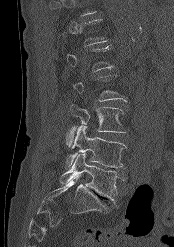 Computed tomography of the spine. sagittal reformat

Boxes: x1 y1 x2 y2 (pixel coords, space-separated). Each vertebra is boxed only on the slices from the first to the last where its cross-section reaches a third of its largest, so a slice outside that range leaves it unboxed. The labeled vertebrae in this slice are: L3 at 68 104 126 146, L4 at 65 126 125 168, L5 at 59 153 124 203.